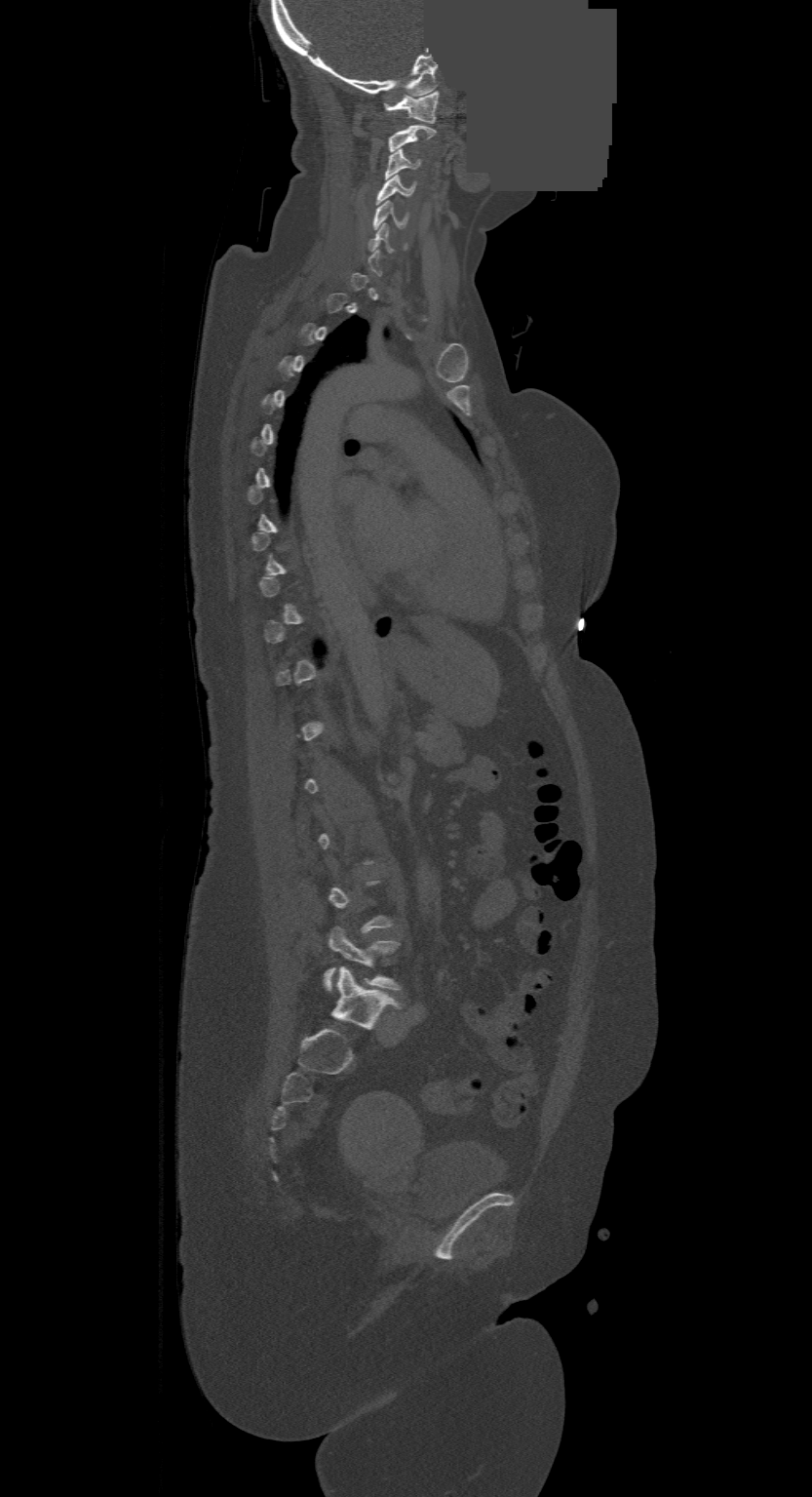
Spine CT — image 500 mm wide — sagittal reformat — Bone window (WL 400, WW 1800) — some of the image was removed or blocked out with constant pixels

Coordinates as <box>x1,y1,x2,y2</box>.
A vertebra is boxed only from the first to the last slice where its cross-section is at least a third of its largest; slices outside that range leave it without a box.
This scan's labels start at C1 at the top and end at L4 at the bottom.
Vertebra bounding boxes:
- C1: <box>386,92,437,123</box>
- C2: <box>389,126,434,152</box>
- C3: <box>386,148,419,178</box>
- C4: <box>377,176,414,204</box>
- C5: <box>374,200,406,228</box>
- C6: <box>368,223,394,252</box>
- L4: <box>324,926,401,991</box>